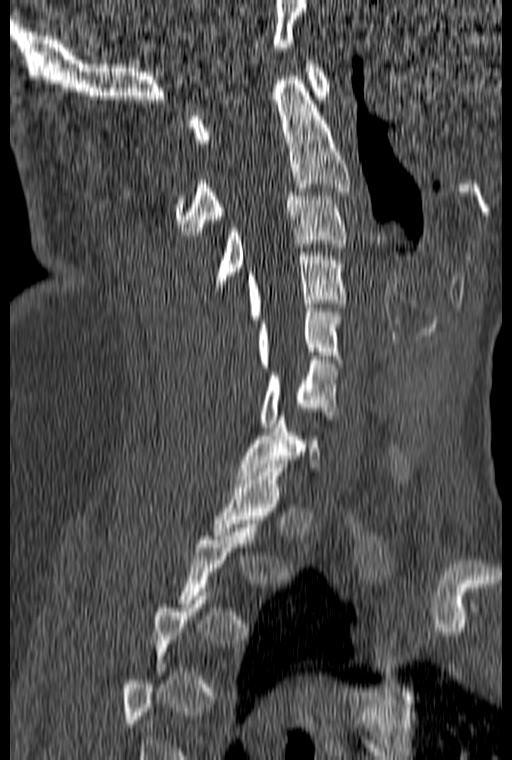 Computed tomography of the spine; sagittal view; bone window; image 160 mm wide

Boxes are given in columns x1, y1, x2, y2, the pixel coordinates of their top-left and bottom-right corners.
A vertebra is boxed only from the first to the last slice where its cross-section is at least a third of its largest; slices outside that range leave it without a box.
| vertebra | x1 | y1 | x2 | y2 |
|---|---|---|---|---|
| C1 | 189 | 60 | 330 | 143 |
| C2 | 175 | 76 | 350 | 235 |
| C3 | 214 | 192 | 347 | 291 |
| C4 | 248 | 252 | 346 | 319 |
| C5 | 257 | 308 | 341 | 367 |
| C6 | 260 | 356 | 336 | 427 |
| C7 | 236 | 412 | 320 | 479 |
| T1 | 211 | 464 | 287 | 539 |